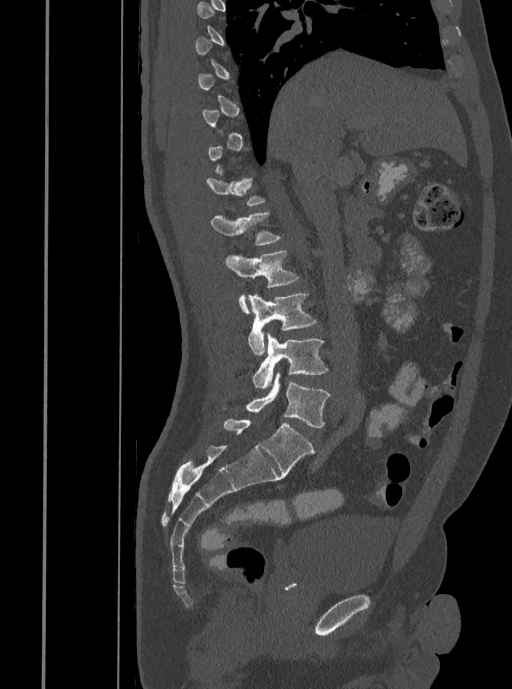
Spine computed tomography; sagittal view

Box values are [left, top, right, bottom] in pixels.
A vertebra gets a box only on the slices from the first to the last where its cross-section is at least a third of its largest; on a slice outside that range it gets none.
{"vertebrae":{"T12":[206,168,266,206],"L1":[211,212,281,245],"L2":[226,250,299,313],"L3":[247,293,316,355],"L4":[252,333,328,389],"L5":[223,373,330,427]}}